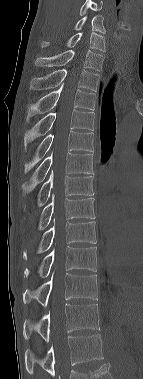
CT, spine; sagittal reformat
Box values are [left, top, right, bottom] in pixels.
In this scan, the topmost labeled vertebra is C6 and the lowest is T12.
{"vertebrae":{"C6":[74,15,105,33],"C7":[42,32,105,51],"T1":[34,50,104,71],"T2":[30,69,99,91],"T3":[26,85,95,123],"T4":[24,109,94,152],"T5":[24,131,93,173],"T6":[21,151,94,192],"T7":[37,170,94,206],"T8":[38,194,95,230],"T9":[23,219,96,260],"T10":[24,246,96,277],"T11":[23,269,97,306],"T12":[23,303,99,341]}}